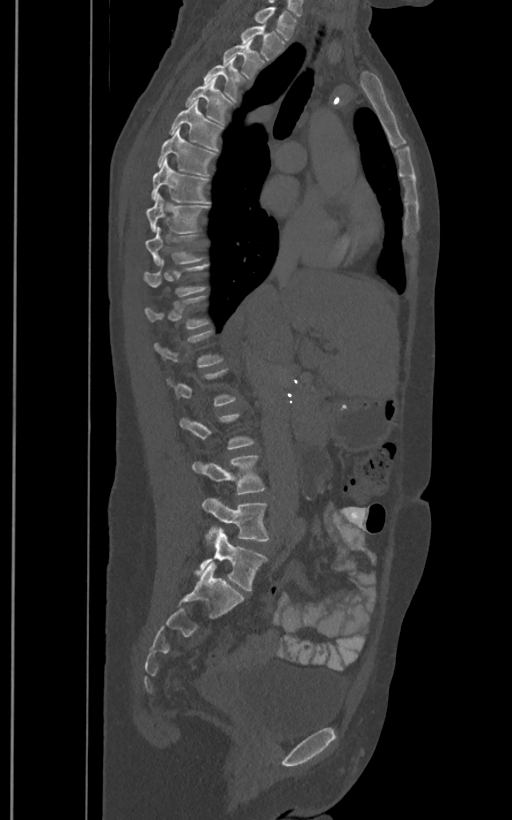

CT, spine · 400 mm image width · sagittal view · bone window · 512x820 px

Each box given as x1,y1,x2,y2.
A vertebra is boxed only from the first to the last slice where its cross-section is at least a third of its largest; slices outside that range leave it without a box.
These labels give the spine a sixth lumbar vertebra, L6, below L5.
Vertebra bounding boxes:
- L6: x1=196, y1=529, x2=268, y2=590
- L5: x1=202, y1=498, x2=270, y2=540
- L4: x1=192, y1=455, x2=265, y2=494
- T11: x1=143, y1=259, x2=207, y2=296
- T10: x1=144, y1=227, x2=204, y2=264
- T9: x1=146, y1=195, x2=209, y2=232
- T8: x1=151, y1=159, x2=209, y2=203
- T7: x1=157, y1=128, x2=216, y2=175
- T6: x1=170, y1=100, x2=223, y2=150
- T5: x1=185, y1=77, x2=232, y2=125
- T4: x1=203, y1=56, x2=243, y2=102
- T3: x1=223, y1=39, x2=264, y2=78
- T2: x1=240, y1=23, x2=284, y2=59
- T1: x1=255, y1=6, x2=296, y2=39